Spine computed tomography — sagittal view — scan covers 8 annotated vertebrae
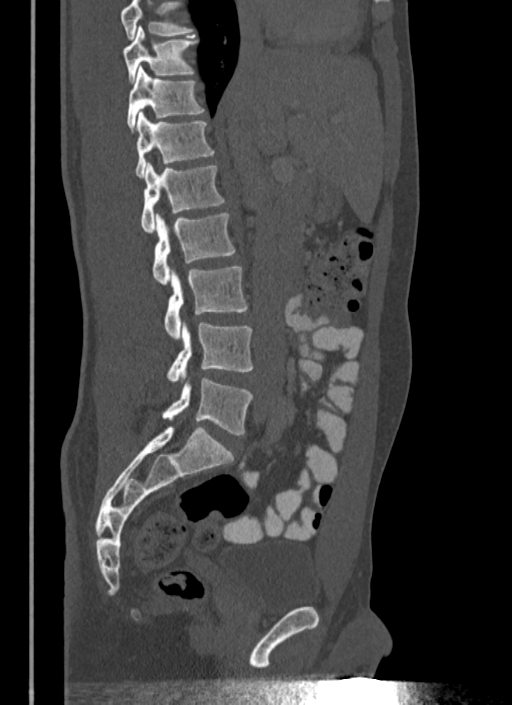

Bounding boxes as [x1, y1, x2, y2] in pixel coordinates. Where the top of the scan cuts through a vertebra, that vertebra gets no label or box. Vertebrae labeled: T10 at [122, 26, 196, 82], T11 at [128, 66, 204, 132], T12 at [135, 111, 214, 177], L1 at [141, 163, 225, 232], L2 at [153, 212, 235, 285], L3 at [164, 267, 247, 339], L4 at [167, 321, 252, 381], L5 at [162, 376, 252, 434].